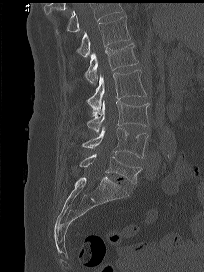 CT spine; sagittal view; W/L 1800/400 HU. Bounding boxes as [x1, y1, x2, y2] in pixel coordinates. No box is given to a vertebra that the top edge of the scan cuts off. Vertebrae labeled: T12 at [76, 15, 130, 57], L1 at [84, 42, 138, 85], L2 at [87, 70, 147, 117], L3 at [87, 100, 150, 132], L4 at [82, 127, 148, 158], L5 at [79, 154, 141, 184].